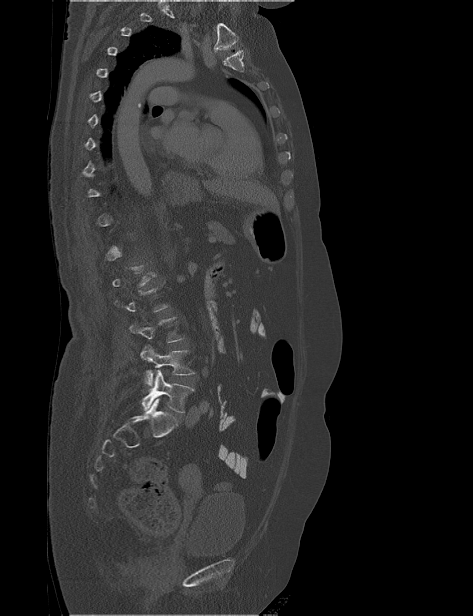
Spine CT — sagittal view — Bone window (WL 400, WW 1800)
A vertebra is boxed only from the first to the last slice where its cross-section is at least a third of its largest; slices outside that range leave it without a box.
<vertebrae><v name="L3" x1="129" y1="317" x2="184" y2="342"/><v name="L4" x1="140" y1="344" x2="195" y2="387"/><v name="L5" x1="141" y1="369" x2="194" y2="412"/></vertebrae>